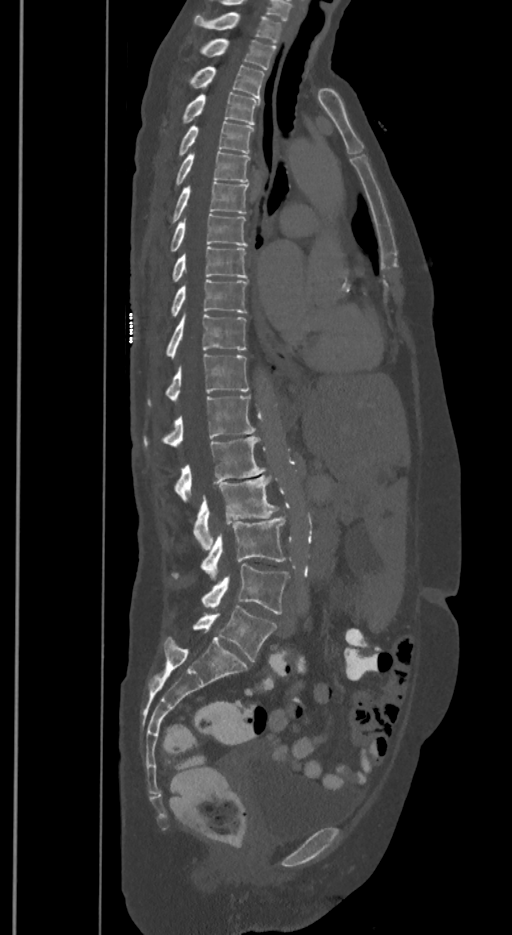
CT · sagittal view · image 350 mm wide
In these labels the spine has an L6, a sixth lumbar vertebra below L5.
<vertebrae><v name="T1" x1="194" y1="12" x2="281" y2="42"/><v name="T2" x1="199" y1="38" x2="275" y2="69"/><v name="T3" x1="188" y1="65" x2="264" y2="98"/><v name="T4" x1="181" y1="92" x2="258" y2="125"/><v name="T5" x1="178" y1="121" x2="253" y2="156"/><v name="T6" x1="175" y1="151" x2="249" y2="186"/><v name="T7" x1="171" y1="182" x2="247" y2="223"/><v name="T8" x1="169" y1="213" x2="246" y2="252"/><v name="T9" x1="172" y1="246" x2="246" y2="282"/><v name="T10" x1="171" y1="279" x2="246" y2="316"/><v name="T11" x1="165" y1="315" x2="246" y2="357"/><v name="T12" x1="148" y1="354" x2="249" y2="406"/><v name="L1" x1="143" y1="396" x2="255" y2="448"/><v name="L2" x1="174" y1="436" x2="265" y2="499"/><v name="L3" x1="193" y1="475" x2="278" y2="549"/><v name="L4" x1="172" y1="516" x2="285" y2="577"/><v name="L5" x1="202" y1="563" x2="288" y2="614"/><v name="L6" x1="193" y1="606" x2="277" y2="661"/></vertebrae>